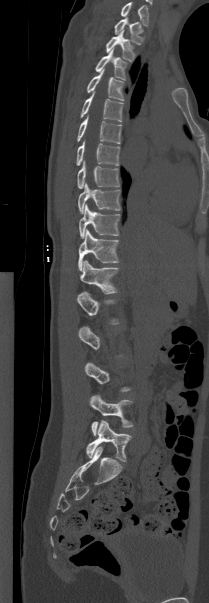
Spine computed tomography · sagittal view
Boxes are given in columns x1, y1, x2, y2, the pixel coordinates of their top-left and bottom-right corners.
Each vertebra is boxed only on the slices from the first to the last where its cross-section reaches a third of its largest, so a slice outside that range leaves it unboxed.
The highest labeled vertebra in this scan is T1; the lowest is L5.
| vertebra | x1 | y1 | x2 | y2 |
|---|---|---|---|---|
| L5 | 86 | 420 | 131 | 461 |
| L4 | 90 | 394 | 133 | 435 |
| L1 | 77 | 291 | 119 | 324 |
| T12 | 80 | 260 | 118 | 293 |
| T11 | 78 | 229 | 119 | 271 |
| T10 | 79 | 204 | 119 | 238 |
| T9 | 78 | 182 | 120 | 213 |
| T8 | 77 | 161 | 119 | 188 |
| T7 | 76 | 140 | 119 | 165 |
| T6 | 77 | 116 | 121 | 143 |
| T5 | 80 | 92 | 123 | 121 |
| T4 | 87 | 69 | 124 | 100 |
| T3 | 95 | 50 | 126 | 79 |
| T2 | 105 | 29 | 134 | 61 |
| T1 | 114 | 18 | 143 | 44 |